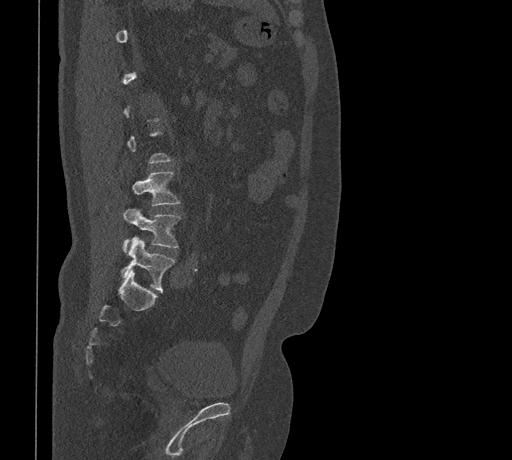
Spine CT; sagittal view
Box edges are left/top/right/bottom in pixels. Each vertebra is boxed only on the slices from the first to the last where its cross-section reaches a third of its largest, so a slice outside that range leaves it unboxed. The labeled vertebrae in this slice are: L5 at left=121, top=237, right=175, bottom=291, L4 at left=123, top=208, right=182, bottom=251, L3 at left=132, top=171, right=181, bottom=206.